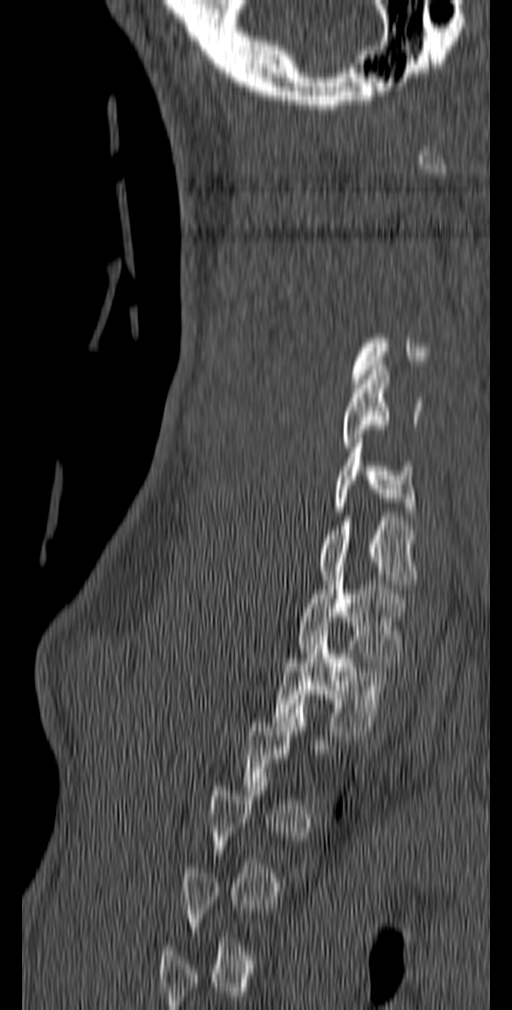 Computed tomography of the spine; sagittal view

Bounding boxes as [x1, y1, x2, y2] in pixel coordinates. Not every vertebra on this slice has a box: a vertebra is boxed only from the first to the last slice where its cross-section is at least a third of its largest, and this slice is outside that range for at least one of them. Vertebrae labeled: C5 at [341, 366, 423, 447], C6 at [334, 439, 416, 516], C7 at [320, 517, 417, 589], T1 at [297, 571, 406, 666], T2 at [273, 631, 392, 735].